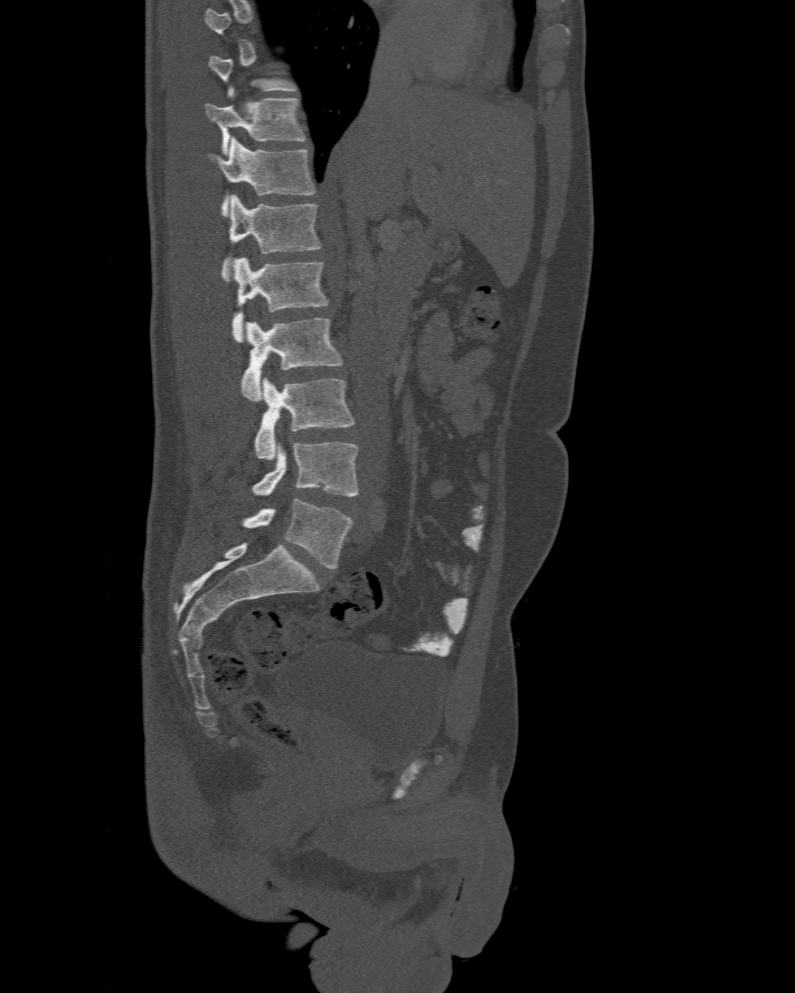 CT. 477 mm image width. sagittal view. bone window

Boxes: x1 y1 x2 y2 (pixel coords, space-separated). Not every vertebra on this slice has a box: a vertebra is boxed only from the first to the last slice where its cross-section is at least a third of its largest, and this slice is outside that range for at least one of them. These labels give the spine a sixth lumbar vertebra, L6, below L5. 8 vertebrae labeled — T11 at 205 98 303 154; T12 at 207 137 316 216; L1 at 220 195 320 281; L2 at 231 257 328 341; L3 at 241 318 342 401; L4 at 255 377 355 461; L5 at 252 442 359 496; L6 at 244 498 353 569.